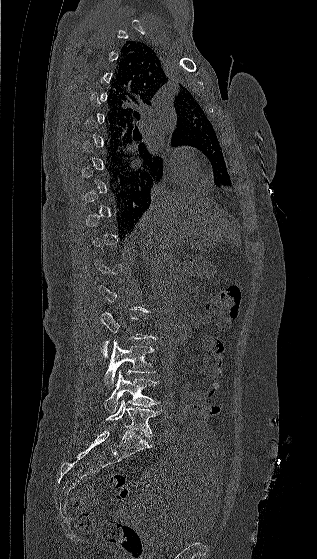 Computed tomography of the spine; sagittal reformat
A vertebra gets a box only on the slices from the first to the last where its cross-section is at least a third of its largest; on a slice outside that range it gets none.
<vertebrae><v name="L2" x1="99" y1="311" x2="157" y2="357"/><v name="L3" x1="104" y1="339" x2="155" y2="387"/><v name="L4" x1="105" y1="370" x2="160" y2="413"/><v name="L5" x1="105" y1="399" x2="160" y2="437"/></vertebrae>